CT spine; 336 mm across the image; sagittal plane, index 233; 512x980 px
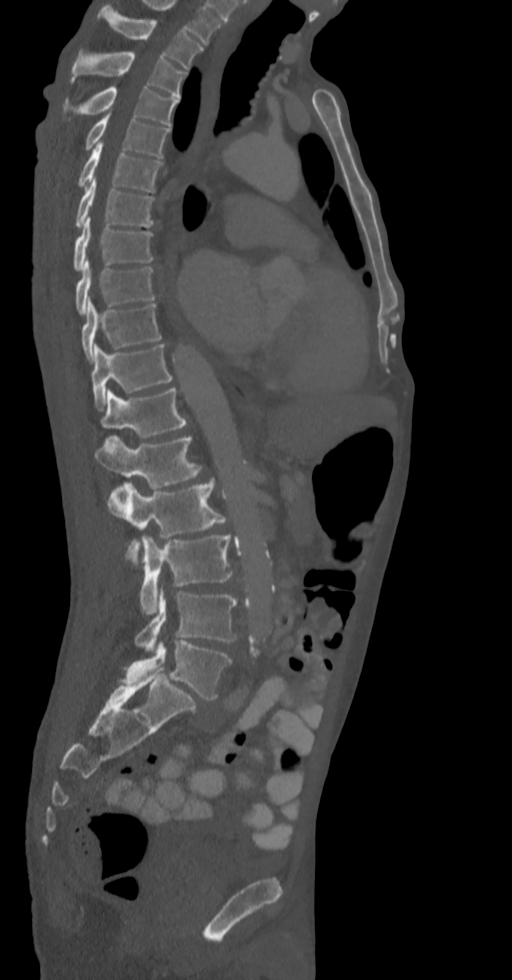
In the table, x1 and y1 are a box's top-left corner and x2 and y2 its bottom-right corner, in pixels.
| vertebra | x1 | y1 | x2 | y2 |
|---|---|---|---|---|
| L5 | 121 | 640 | 232 | 700 |
| L4 | 135 | 591 | 238 | 650 |
| L3 | 138 | 535 | 232 | 615 |
| L2 | 108 | 480 | 232 | 566 |
| L1 | 94 | 436 | 203 | 488 |
| T12 | 102 | 387 | 186 | 438 |
| T11 | 91 | 344 | 172 | 409 |
| T10 | 82 | 300 | 162 | 362 |
| T9 | 74 | 261 | 156 | 314 |
| T8 | 73 | 216 | 153 | 270 |
| T7 | 74 | 178 | 154 | 228 |
| T6 | 77 | 142 | 162 | 191 |
| T5 | 84 | 113 | 169 | 157 |
| T4 | 62 | 87 | 179 | 125 |
| T3 | 70 | 52 | 185 | 97 |
| T2 | 103 | 9 | 203 | 69 |